CT · sagittal reformat · bone-window reconstruction · 512x609 px · scan covers 11 annotated vertebrae · image width 187 mm
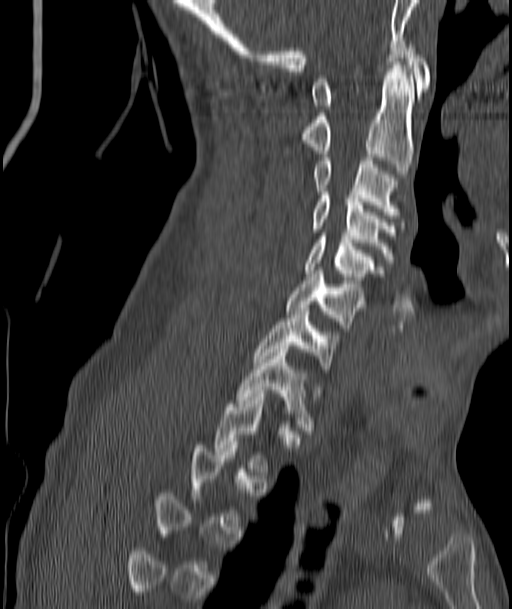 Each box is [x1, y1, x2, y2] in pixels: top-left corner, then bottom-right corner.
A vertebra gets a box only on the slices from the first to the last where its cross-section is at least a third of its largest; on a slice outside that range it gets none.
{"vertebrae":{"C1":[313,44,430,109],"C2":[302,65,414,174],"C3":[313,157,400,218],"C4":[313,192,394,259],"C5":[305,233,375,283],"C6":[286,274,361,328],"C7":[253,308,334,369],"T1":[236,349,312,430]}}